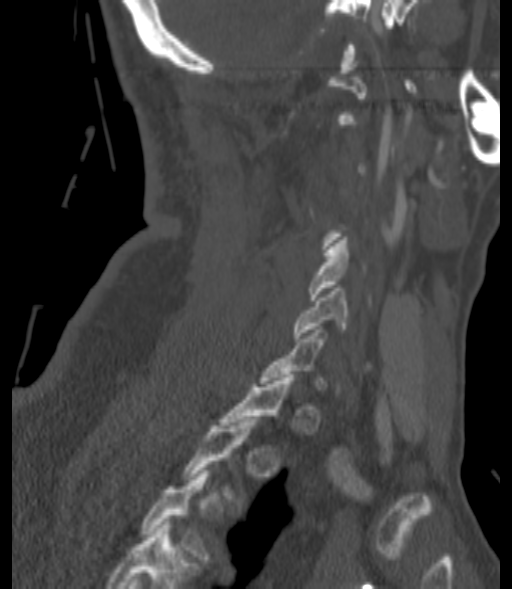 Computed tomography of the spine · sagittal view · Bone window (WL 400, WW 1800)

A vertebra is boxed only from the first to the last slice where its cross-section is at least a third of its largest; slices outside that range leave it without a box.
The highest labeled vertebra in this scan is C1; the lowest is T3.
<vertebrae><v name="C5" x1="307" y1="237" x2="364" y2="300"/><v name="C6" x1="293" y1="288" x2="346" y2="341"/><v name="T3" x1="142" y1="470" x2="210" y2="562"/></vertebrae>